CT spine · sagittal view · the image is 434 mm wide · W/L 1800/400 HU
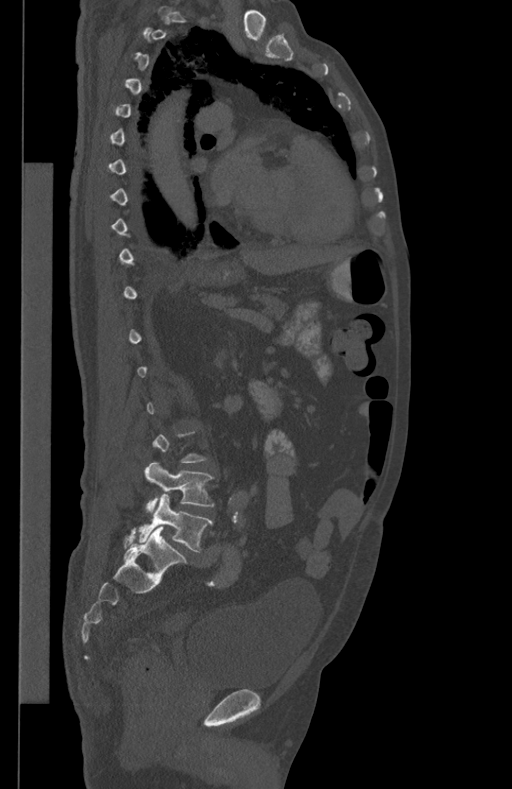

Each row gives a vertebra's box as x1, y1, x2, y2 in pixels: top-left corner, then bottom-right corner.
Not every vertebra on this slice has a box: a vertebra is boxed only from the first to the last slice where its cross-section is at least a third of its largest, and this slice is outside that range for at least one of them.
| vertebra | x1 | y1 | x2 | y2 |
|---|---|---|---|---|
| L4 | 145 | 462 | 214 | 512 |
| L5 | 137 | 494 | 212 | 552 |